CT, spine; 157 mm across the image; sagittal view; W/L 1800/400 HU
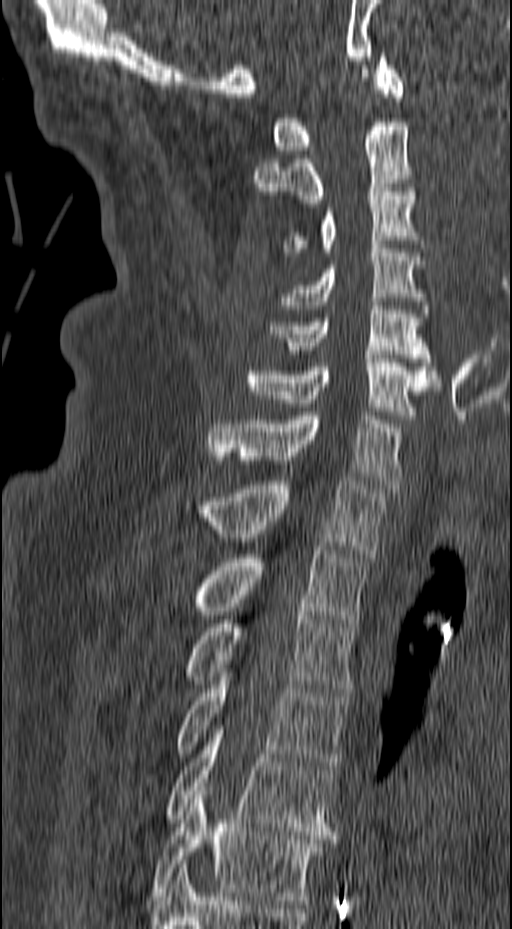

Boxes: x1:y1:x2:y2 in pixels.
Vertebra bounding boxes:
- T6: 152:787:333:904
- T5: 165:726:336:839
- T4: 177:673:349:769
- T3: 186:611:356:696
- T2: 197:546:369:627
- T1: 183:477:388:557
- C7: 210:412:401:488
- C6: 246:355:440:419
- C5: 269:302:438:378
- C4: 281:245:430:317
- C3: 282:188:423:256
- C2: 253:118:414:203
- C1: 272:53:404:154